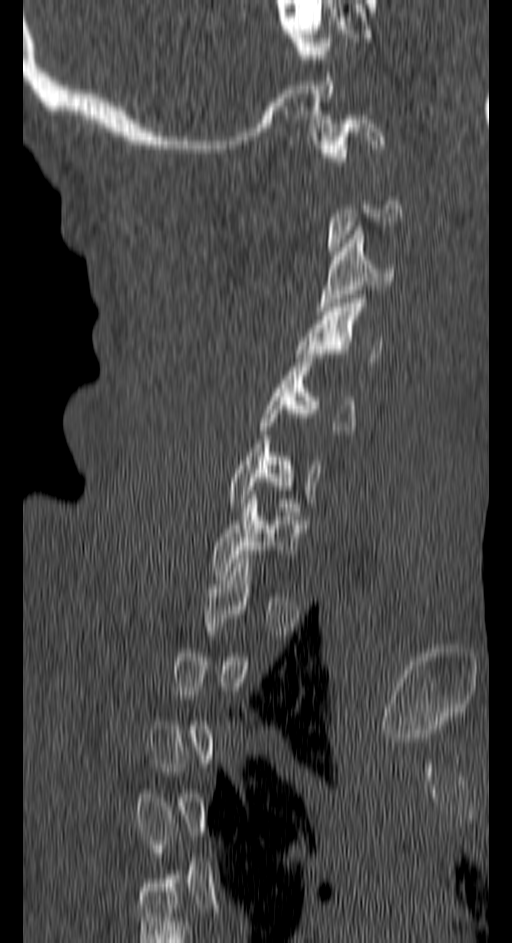 Spine CT — sagittal view — W/L 1800/400 HU
Each box given as x1,y1,x2,y2.
Each vertebra is boxed only on the slices from the first to the last where its cross-section reaches a third of its largest, so a slice outside that range leaves it unboxed.
C7: x1=213, y1=495, x2=298, y2=575
C6: x1=230, y1=439, x2=321, y2=507
C5: x1=261, y1=354, x2=355, y2=434
C4: x1=295, y1=299, x2=381, y2=366
C3: x1=316, y1=226, x2=393, y2=310
C1: x1=315, y1=115, x2=383, y2=165